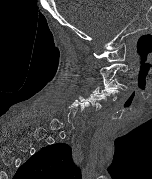 CT — sagittal view — 152 mm across the image — bone-window reconstruction
A vertebra is boxed only from the first to the last slice where its cross-section is at least a third of its largest; slices outside that range leave it without a box.
<vertebrae><v name="C1" x1="93" y1="42" x2="125" y2="61"/><v name="C2" x1="100" y1="63" x2="127" y2="86"/><v name="C3" x1="101" y1="78" x2="127" y2="92"/><v name="C4" x1="93" y1="86" x2="119" y2="100"/><v name="C5" x1="79" y1="92" x2="106" y2="110"/></vertebrae>